CT. sagittal view. bone-window reconstruction. a portion of the image is blanked out (constant pixel value)
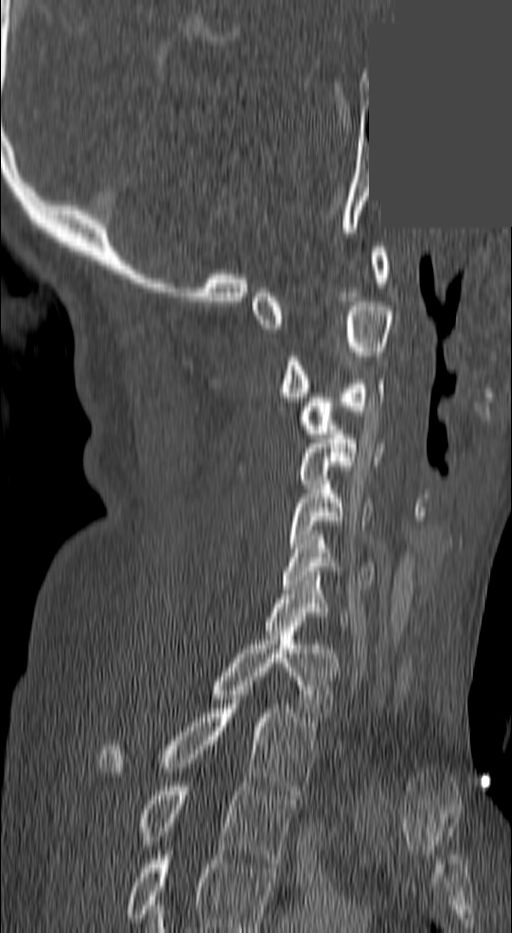
Box edges are left/top/right/bottom in pixels. Labels in this scan begin with C1 at the top and end with T3 at the bottom. Vertebrae labeled: C1 at left=251, top=247, right=388, bottom=328, C2 at left=279, top=302, right=392, bottom=401, C3 at left=298, top=379, right=384, bottom=438, C4 at left=296, top=430, right=381, bottom=484, C5 at left=287, top=480, right=373, bottom=548, C6 at left=283, top=535, right=374, bottom=589, C7 at left=261, top=576, right=348, bottom=630, T1 at left=213, top=631, right=337, bottom=721, T2 at left=100, top=704, right=315, bottom=794, T3 at left=140, top=782, right=293, bottom=863.